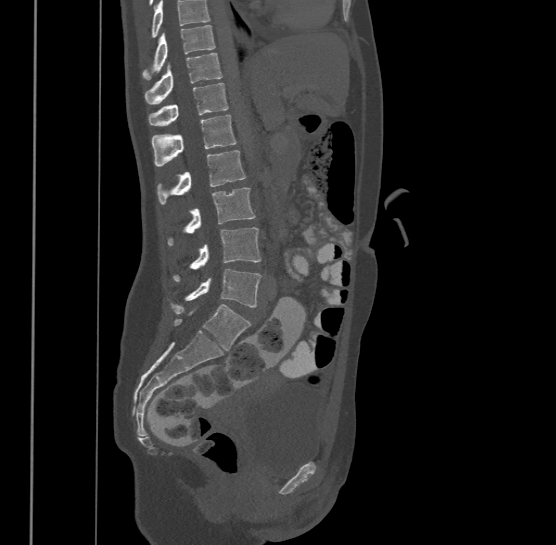 Computed tomography of the spine · sagittal view · the image spans 500 mm across · bone-window reconstruction · 556x545 px
Each box is [x1, y1, x2, y2] in pixels: top-left corner, then bottom-right corner.
A vertebra cut off by the top edge of the scan is not labeled and has no box.
This scan's labels start at T9 at the top and end at L4 at the bottom.
{"vertebrae":{"T9":[142,24,215,79],"T10":[144,52,223,103],"T11":[148,82,228,124],"T12":[151,114,236,165],"L1":[156,150,245,203],"L2":[168,187,256,244],"L3":[174,227,261,281],"L4":[170,268,262,314]}}